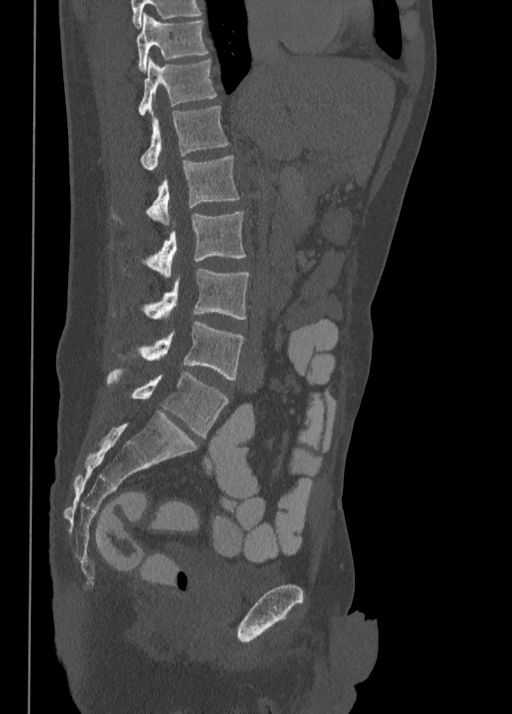
CT · sagittal view · W/L 1800/400 HU · 512x714 px · 350 mm image width
Each box given as x1,y1,x2,y2.
| vertebra | x1 | y1 | x2 | y2 |
|---|---|---|---|---|
| L5 | 107 | 370 | 228 | 436 |
| L4 | 140 | 321 | 245 | 379 |
| L3 | 145 | 269 | 249 | 322 |
| L2 | 141 | 212 | 245 | 278 |
| L1 | 148 | 155 | 240 | 225 |
| T12 | 141 | 107 | 228 | 170 |
| T11 | 139 | 58 | 217 | 115 |
| T10 | 136 | 13 | 208 | 71 |